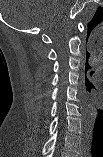 Computed tomography of the spine — sagittal view
Boxes: x1:y1:x2:y2 in pixels.
Labels in this scan begin with C1 at the top and end with C7 at the bottom.
C1: 42:22:83:43
C2: 47:36:82:59
C3: 53:56:79:71
C4: 51:72:78:85
C5: 51:85:79:101
C6: 51:101:80:116
C7: 49:116:81:135